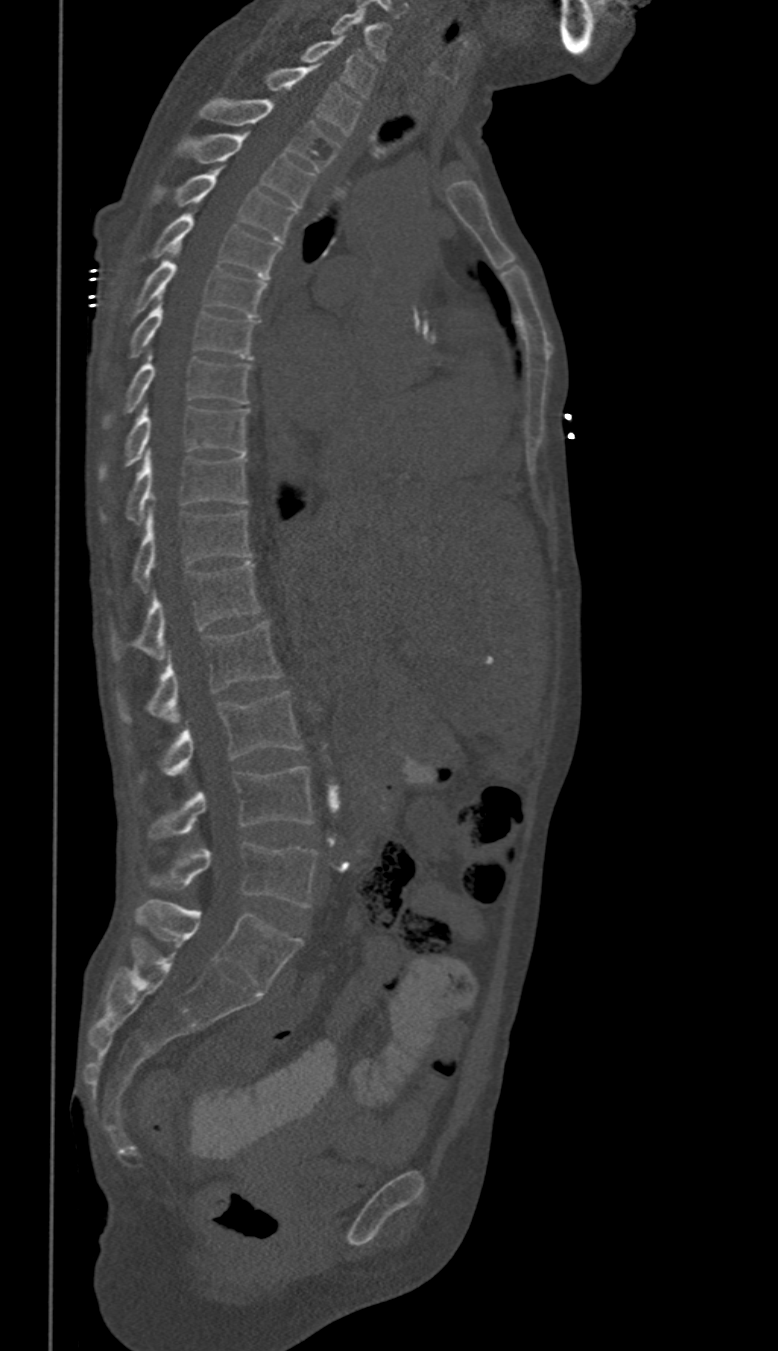 Spine CT · sagittal view · bone window

These labels give this spine no T12: after T11 the next vertebra is L1.
<vertebrae><v name="L5" x1="169" y1="843" x2="316" y2="906"/><v name="L4" x1="149" y1="767" x2="312" y2="837"/><v name="L3" x1="164" y1="692" x2="301" y2="775"/><v name="L2" x1="120" y1="620" x2="282" y2="724"/><v name="L1" x1="112" y1="563" x2="259" y2="657"/><v name="T11" x1="134" y1="509" x2="250" y2="588"/><v name="T10" x1="126" y1="452" x2="248" y2="522"/><v name="T9" x1="100" y1="405" x2="248" y2="477"/><v name="T8" x1="126" y1="352" x2="250" y2="411"/><v name="T7" x1="131" y1="298" x2="254" y2="359"/><v name="T6" x1="135" y1="249" x2="265" y2="317"/><v name="T5" x1="153" y1="214" x2="279" y2="277"/><v name="T4" x1="155" y1="167" x2="297" y2="242"/><v name="T3" x1="179" y1="134" x2="313" y2="206"/><v name="T2" x1="199" y1="98" x2="339" y2="171"/><v name="T1" x1="264" y1="65" x2="361" y2="135"/><v name="C7" x1="299" y1="36" x2="376" y2="97"/><v name="C6" x1="331" y1="8" x2="389" y2="62"/></vertebrae>